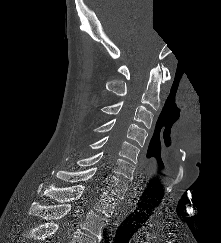 Spine computed tomography · sagittal view · 221x243 px · a region of this slice is masked with a uniform fill

Each box given as x1,y1,x2,y2.
| vertebra | x1 | y1 | x2 | y2 |
|---|---|---|---|---|
| C1 | 117 | 63 | 171 | 82 |
| C2 | 106 | 64 | 161 | 109 |
| C3 | 101 | 101 | 153 | 128 |
| C4 | 94 | 118 | 147 | 146 |
| C5 | 90 | 136 | 139 | 163 |
| C6 | 76 | 151 | 135 | 180 |
| C7 | 57 | 167 | 127 | 198 |
| T1 | 40 | 184 | 119 | 216 |
| T2 | 28 | 202 | 107 | 241 |